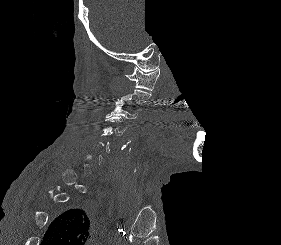 Spine computed tomography. sagittal view. 281x245 px. 281 mm across the image. a portion of the image is blanked out (constant pixel value)
Boxes are (x1, y1, x2, y2) in pixels.
Not every vertebra on this slice has a box: a vertebra is boxed only from the first to the last slice where its cross-section is at least a third of its largest, and this slice is outside that range for at least one of them.
Vertebra bounding boxes:
- C1: (125, 66, 159, 92)
- C3: (105, 101, 136, 118)
- C4: (103, 116, 127, 135)